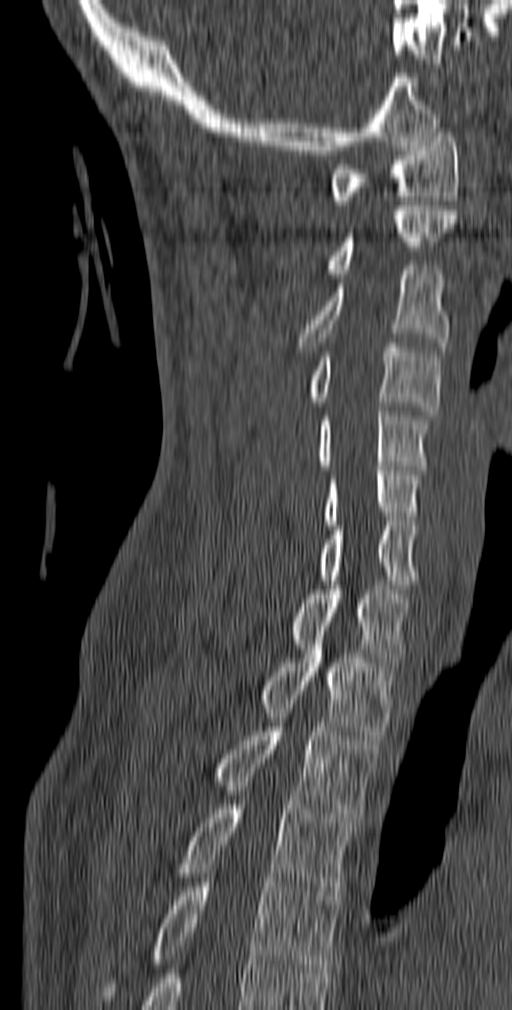
CT, spine. sagittal view. W/L 1800/400 HU

Box edges are left/top/right/bottom in pixels.
| vertebra | x1 | y1 | x2 | y2 |
|---|---|---|---|---|
| C1 | 330 | 128 | 459 | 205 |
| C2 | 327 | 206 | 456 | 273 |
| C3 | 298 | 265 | 449 | 351 |
| C4 | 305 | 343 | 441 | 415 |
| C5 | 316 | 407 | 432 | 470 |
| C6 | 323 | 466 | 422 | 525 |
| C7 | 319 | 521 | 417 | 589 |
| T1 | 290 | 585 | 410 | 666 |
| T2 | 260 | 631 | 394 | 740 |
| T3 | 210 | 718 | 379 | 822 |
| T4 | 177 | 805 | 355 | 900 |
| T5 | 100 | 878 | 340 | 1000 |